CT, spine. sagittal view. bone window. 512x943 px
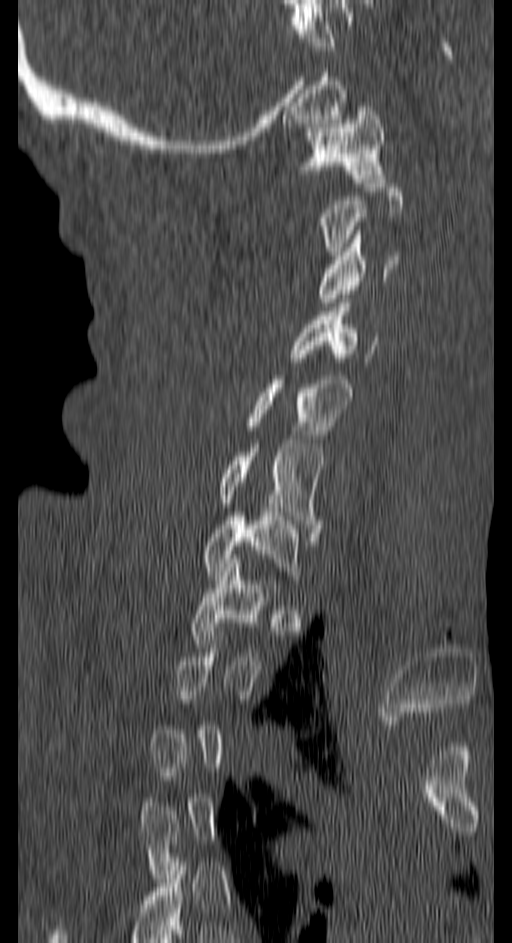

Bounding boxes as [x1, y1, x2, y2] in pixel coordinates.
A vertebra is boxed only from the first to the last slice where its cross-section is at least a third of its largest; slices outside that range leave it without a box.
Vertebra bounding boxes:
- T1: [189, 559, 277, 652]
- C7: [203, 512, 301, 584]
- C6: [216, 444, 321, 537]
- C5: [244, 375, 352, 438]
- C4: [291, 303, 376, 366]
- C3: [319, 230, 398, 302]
- C1: [302, 102, 383, 182]